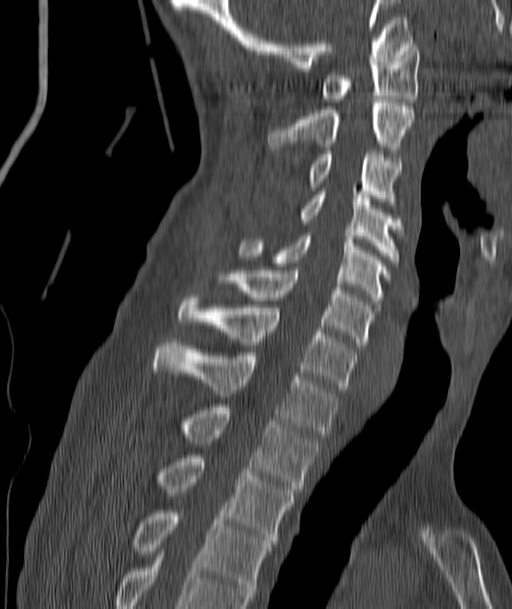 Spine CT — sagittal view — W/L 1800/400 HU — 512x609 px
<vertebrae><v name="C1" x1="321" y1="41" x2="419" y2="102"/><v name="C2" x1="269" y1="99" x2="414" y2="150"/><v name="C3" x1="310" y1="151" x2="400" y2="204"/><v name="C4" x1="299" y1="188" x2="402" y2="259"/><v name="C5" x1="239" y1="233" x2="389" y2="300"/><v name="C6" x1="217" y1="270" x2="372" y2="345"/><v name="C7" x1="179" y1="294" x2="356" y2="389"/><v name="T1" x1="154" y1="342" x2="337" y2="437"/><v name="T2" x1="179" y1="407" x2="317" y2="492"/><v name="T3" x1="157" y1="455" x2="293" y2="543"/><v name="T4" x1="132" y1="510" x2="274" y2="601"/></vertebrae>